CT, spine; sagittal plane, index 202; bone window; 369x669 px; 18 vertebrae labeled in this scan; image 369 mm wide
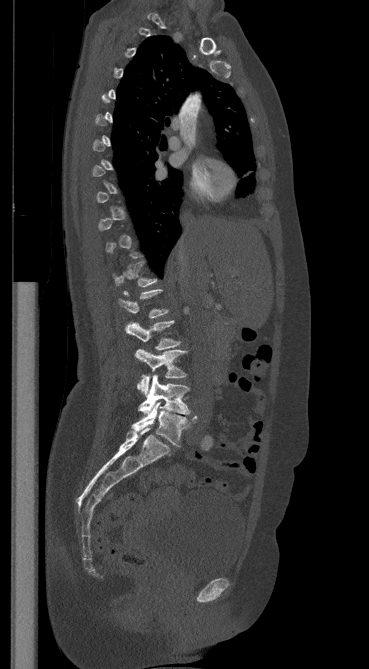

Box values are [left, top, right, bottom] in pixels.
A vertebra is boxed only from the first to the last slice where its cross-section is at least a third of its largest; slices outside that range leave it without a box.
{"vertebrae":{"L5":[132,402,196,446],"L4":[138,374,190,414],"L3":[135,349,186,395],"L2":[125,320,180,349],"L1":[118,289,168,318]}}